CT — Sagittal slice 80/174 — bone window
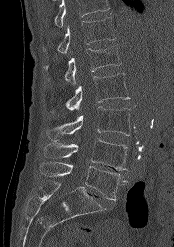
Coordinates as <box>x1,y1,x2,y2</box>.
Where the top of the scan cuts through a vertebra, that vertebra gets no label or box.
Vertebra bounding boxes:
- T12: <box>43,17,115,53</box>
- L1: <box>46,45,121,85</box>
- L2: <box>52,73,130,112</box>
- L3: <box>46,106,130,141</box>
- L4: <box>43,139,127,170</box>
- L5: <box>39,162,126,201</box>